Spine CT; sagittal plane, index 374; Bone window (WL 400, WW 1800); 6 vertebrae labeled in this scan
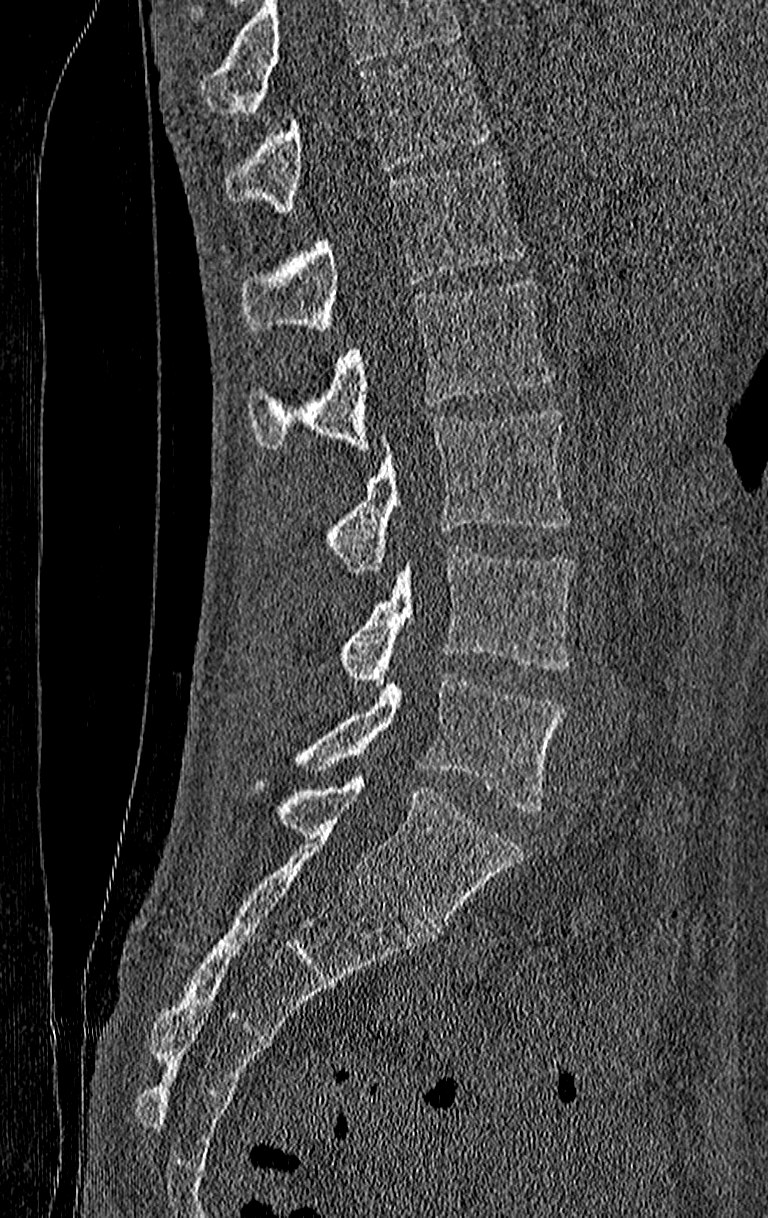 Boxes are (x1, y1, x2, y2) in pixels. A vertebra cut off by the top edge of the scan is not labeled and has no box. This scan's labels start at T11 at the top and end at L4 at the bottom. The labeled vertebrae in this slice are: L4 at (295, 673, 565, 812), L3 at (342, 546, 575, 687), L2 at (328, 410, 572, 573), L1 at (247, 278, 550, 450), T12 at (240, 158, 524, 333), T11 at (225, 56, 491, 211).